Spine CT — sagittal view — Bone window (WL 400, WW 1800) — 417x683 px
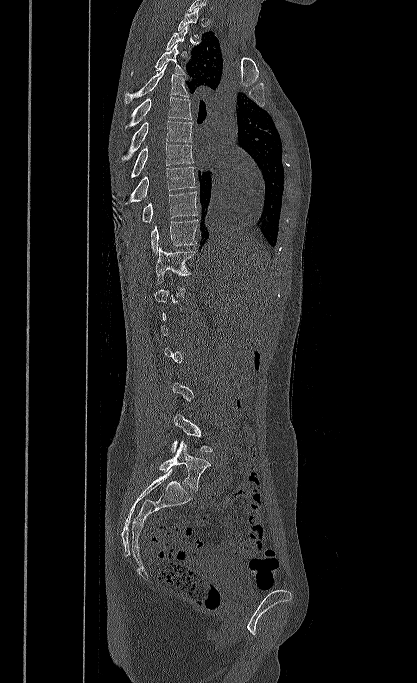
Bounding boxes as [x1, y1, x2, y2] in pixel coordinates.
Not every vertebra on this slice has a box: a vertebra is boxed only from the first to the last slice where its cross-section is at least a third of its largest, and this slice is outside that range for at least one of them.
L5: [159, 441, 210, 490]
T11: [155, 247, 196, 284]
T10: [151, 219, 198, 252]
T9: [142, 191, 198, 222]
T8: [126, 167, 196, 204]
T7: [131, 143, 193, 177]
T6: [122, 120, 193, 162]
T5: [125, 97, 191, 128]
T4: [125, 64, 188, 103]
T3: [131, 44, 186, 75]
T1: [177, 8, 201, 38]